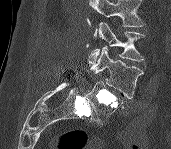
CT spine; sagittal view

In the table, x1 and y1 are a box's top-left corner and x2 and y2 its bottom-right corner, in pixels.
Vertebrae that run past the top of the scan are left unlabeled.
| vertebra | x1 | y1 | x2 | y2 |
|---|---|---|---|---|
| L3 | 89 | 22 | 144 | 65 |
| L4 | 90 | 46 | 144 | 99 |
| L5 | 85 | 81 | 123 | 123 |